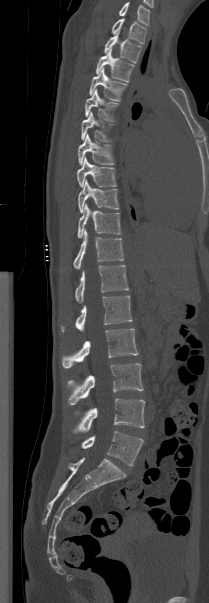
CT; sagittal view; 209x603 px. Coordinates as <box>x1,y1,x2,y2</box>. The highest labeled vertebra in this scan is T1; the lowest is L5. 17 vertebrae labeled — L5 at <box>81,431,143,466</box>; L4 at <box>71,399,144,433</box>; L3 at <box>67,363,143,404</box>; L2 at <box>62,328,138,368</box>; L1 at <box>61,296,132,331</box>; T12 at <box>75,265,128,302</box>; T11 at <box>73,230,123,269</box>; T10 at <box>77,204,121,237</box>; T9 at <box>78,180,119,213</box>; T8 at <box>77,157,116,187</box>; T7 at <box>78,133,114,165</box>; T6 at <box>81,112,112,141</box>; T5 at <box>85,89,118,121</box>; T4 at <box>89,68,127,101</box>; T3 at <box>96,49,134,81</box>; T2 at <box>104,32,141,63</box>; T1 at <box>112,18,146,43</box>.